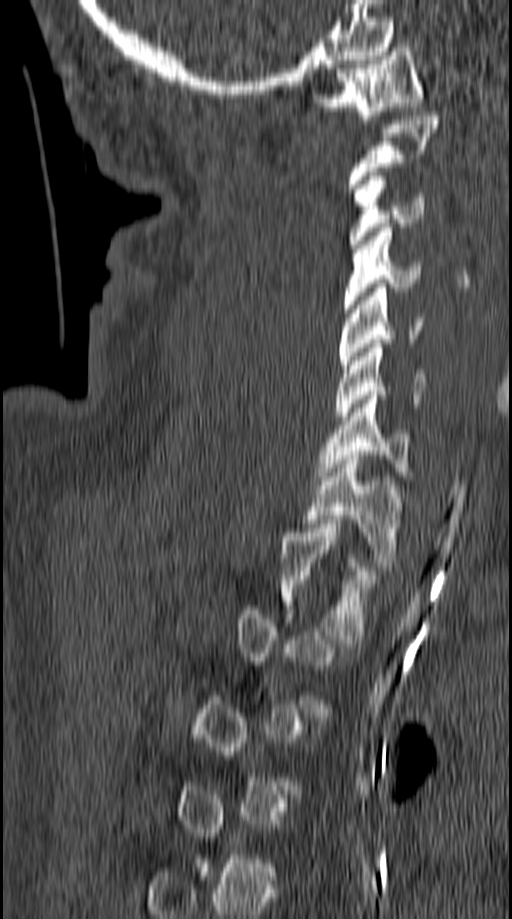

Computed tomography of the spine — sagittal view
Each vertebra maps to its box as [x1, y1, x2, y2], the pixel coordinates of its top-left and bottom-right corners.
Each vertebra is boxed only on the slices from the first to the last where its cross-section reaches a third of its largest, so a slice outside that range leaves it unboxed.
{"vertebrae":{"C1":[314,43,424,119],"C2":[348,112,440,192],"C3":[348,172,425,244],"C4":[344,223,420,313],"C5":[338,283,423,368],"C6":[335,344,426,420],"C7":[318,391,413,480],"T1":[302,451,402,566],"T2":[280,524,378,639]}}